Spine computed tomography · sagittal reformat
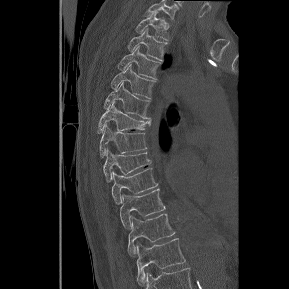

Boxes: x1:y1:x2:y2 in pixels.
In this scan, the topmost labeled vertebra is T1 and the lowest is T12.
Vertebra bounding boxes:
- T1: 135:13:170:39
- T2: 127:29:167:60
- T3: 117:46:160:79
- T4: 110:64:155:98
- T5: 104:83:151:121
- T6: 97:103:150:133
- T7: 100:126:147:157
- T8: 103:150:151:181
- T9: 112:167:157:203
- T10: 120:188:165:229
- T11: 128:213:175:255
- T12: 136:238:185:285